Spine CT — sagittal plane, index 239 — bone-window reconstruction — the image is 500 mm wide — 556x678 px
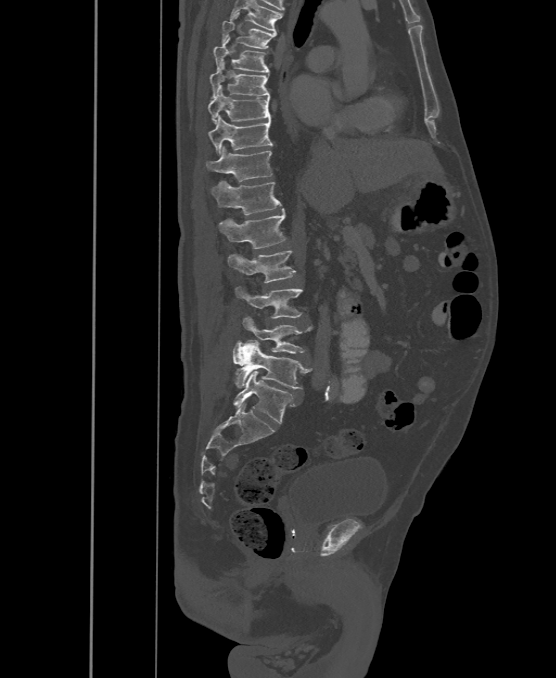

Each box given as x1,y1,x2,y2. Labels in this scan begin with T6 at the top and end with L6 at the bottom. In these labels the spine has an L6, a sixth lumbar vertebra below L5. The labeled vertebrae in this slice are: T6 at x1=222, y1=13, x2=276, y2=48, T7 at x1=214, y1=36, x2=269, y2=73, T8 at x1=211, y1=63, x2=269, y2=98, T9 at x1=208, y1=89, x2=270, y2=123, T10 at x1=208, y1=116, x2=272, y2=155, T11 at x1=206, y1=146, x2=272, y2=182, T12 at x1=212, y1=180, x2=281, y2=215, L1 at x1=219, y1=208, x2=285, y2=248, L2 at x1=228, y1=250, x2=295, y2=283, L3 at x1=235, y1=286, x2=303, y2=318, L4 at x1=242, y1=316, x2=312, y2=353, L5 at x1=233, y1=339, x2=312, y2=388, L6 at x1=233, y1=370, x2=294, y2=424.